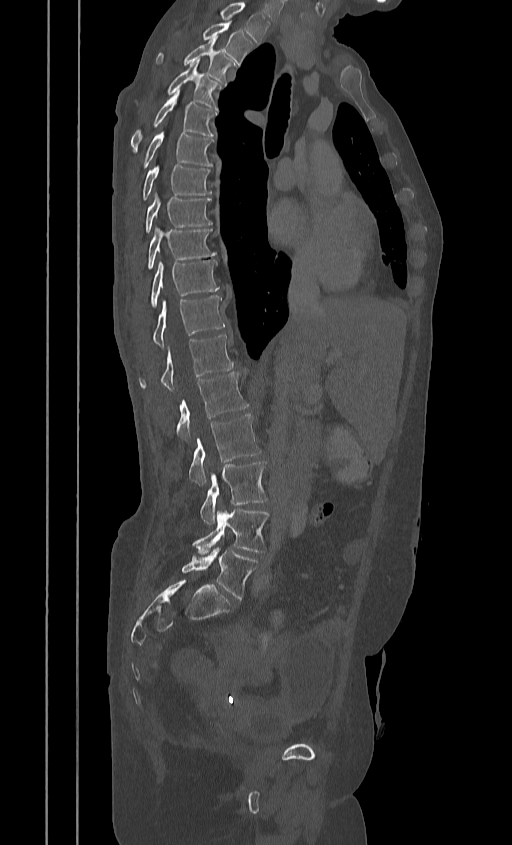 CT, spine — sagittal view — Bone window (WL 400, WW 1800) — 512x845 px. Coordinates as <box>x1,y1,x2,y2</box>.
This scan's labels start at T2 at the top and end at L5 at the bottom.
T2: <box>202,21,253,66</box>
T3: <box>156,37,236,83</box>
T4: <box>141,61,221,110</box>
T5: <box>130,91,217,152</box>
T6: <box>142,131,213,167</box>
T7: <box>142,164,211,199</box>
T8: <box>145,193,212,232</box>
T9: <box>146,227,216,268</box>
T10: <box>150,260,219,307</box>
T11: <box>153,296,224,347</box>
T12: <box>138,335,233,392</box>
L1: <box>176,372,248,440</box>
L2: <box>189,413,261,484</box>
L3: <box>200,461,267,524</box>
L4: <box>193,509,269,555</box>
L5: <box>181,548,257,599</box>